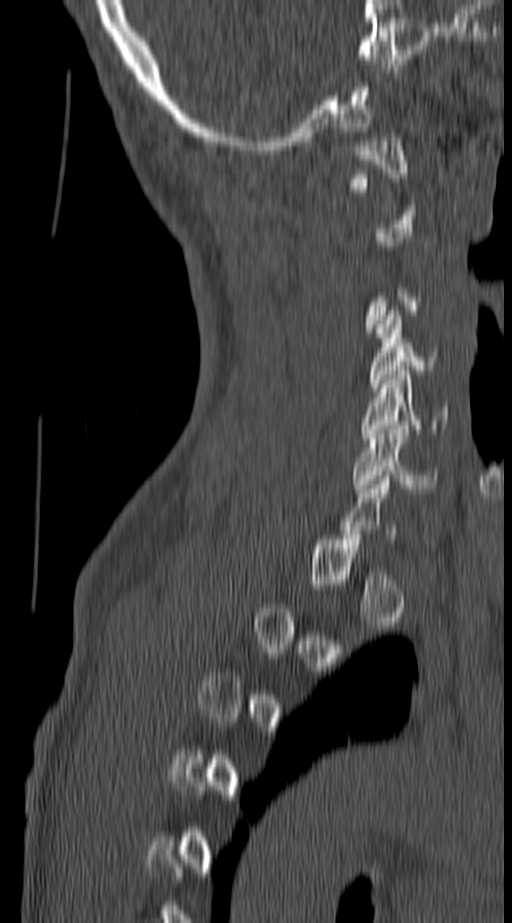 CT, spine — sagittal view — image 140 mm wide
Box values are [left, top, right, bottom] in pixels.
A vertebra is boxed only from the first to the last slice where its cross-section is at least a third of its largest; slices outside that range leave it without a box.
{"vertebrae":{"C1":[349,137,406,205],"C4":[371,311,436,388],"C5":[361,370,448,442],"C6":[352,425,439,493]}}